CT spine; Sagittal slice 228/512; 512x843 px; 17 vertebrae labeled in this scan
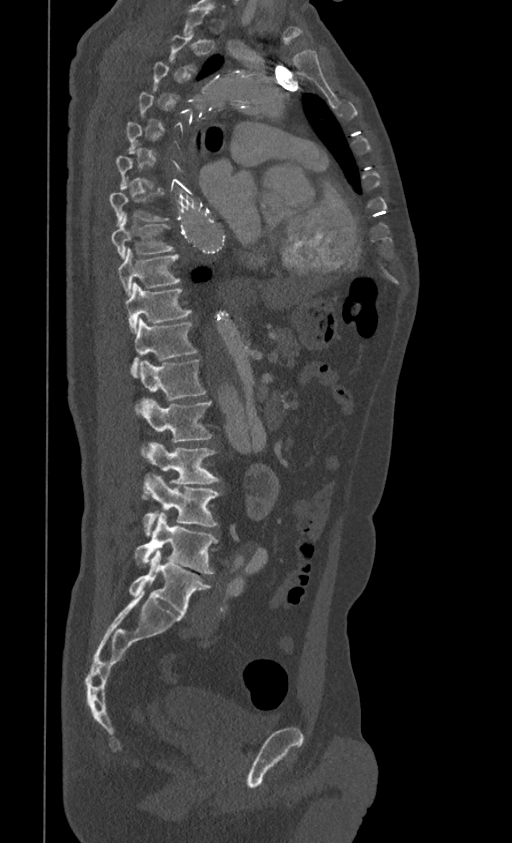

Coordinates as <box>x1,y1,x2,y2</box>.
A vertebra is boxed only from the first to the last slice where its cross-section is at least a third of its largest; slices outside that range leave it without a box.
Vertebra bounding boxes:
- T7: <box>109,193,170,225</box>
- T8: <box>111,212,175,258</box>
- T9: <box>118,247,181,296</box>
- T10: <box>126,282,191,333</box>
- T11: <box>131,319,198,377</box>
- T12: <box>136,359,207,412</box>
- L1: <box>141,400,213,456</box>
- L2: <box>142,441,220,499</box>
- L3: <box>142,474,222,535</box>
- L4: <box>135,512,217,574</box>
- L5: <box>129,550,211,615</box>